CT, spine; sagittal plane, index 27; bone window; 176x509 px; scan covers 17 annotated vertebrae
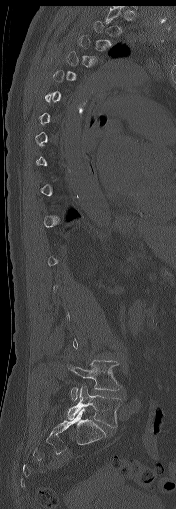

Boxes: x1 y1 x2 y2 (pixel coords, space-separated).
Each vertebra is boxed only on the slices from the first to the last where its cross-section reaches a third of its largest, so a slice outside that range leaves it unboxed.
Vertebra bounding boxes:
- L4: 67 360 120 400
- L5: 67 386 121 427